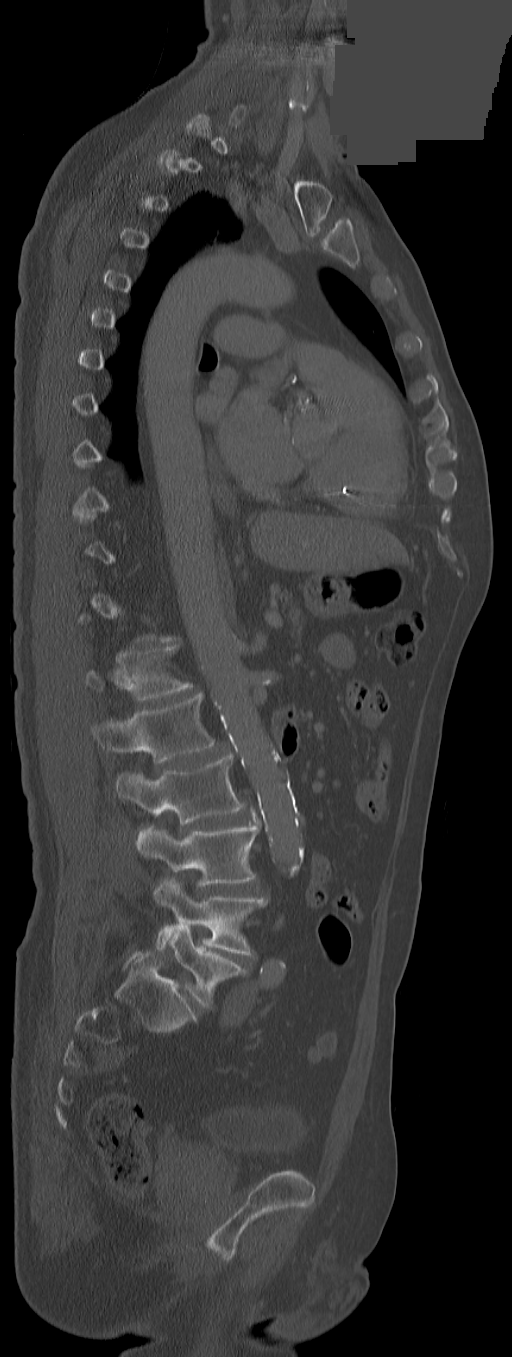 Spine CT — sagittal reformat — Bone window (WL 400, WW 1800) — some of the image was removed or blocked out with constant pixels. Boxes: x1:y1:x2:y2 in pixels.
A vertebra is boxed only from the first to the last slice where its cross-section is at least a third of its largest; slices outside that range leave it without a box.
These labels give the spine a thirteenth thoracic vertebra: T13 sits between T12 and L1.
T13: 85:646:193:702
L1: 92:692:214:763
L2: 115:754:246:825
L3: 136:824:260:886
L4: 153:879:267:955
L5: 163:926:246:1008